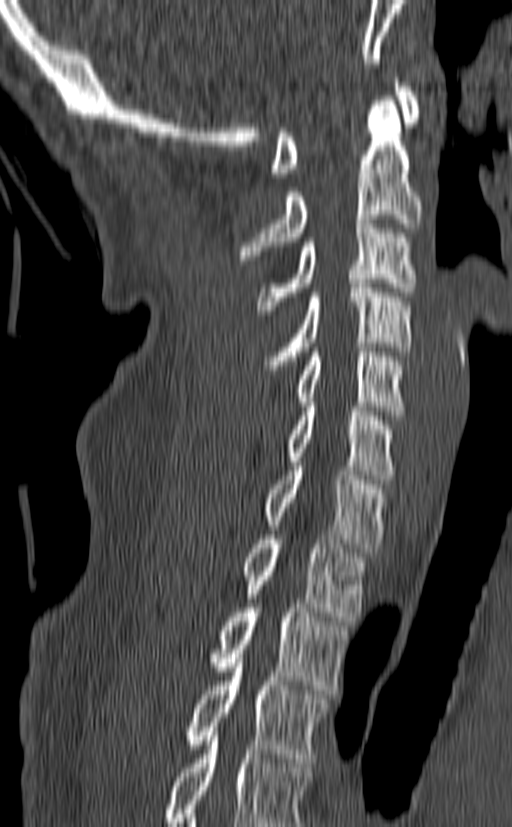 CT spine · the image spans 140 mm across · sagittal view · bone-window reconstruction · 512x827 px

Boxes below are [x1, y1, x2, y2] in pixels.
This scan's labels start at C1 at the top and end at T3 at the bottom.
{"vertebrae":{"C1":[271,78,421,177],"C2":[239,101,421,260],"C3":[257,219,416,314],"C4":[265,283,414,374],"C5":[294,347,406,415],"C6":[286,402,396,484],"C7":[265,462,388,552],"T1":[243,535,366,621],"T2":[210,603,348,694],"T3":[184,654,329,762]}}